Spine CT. sagittal reformat. bone-window reconstruction
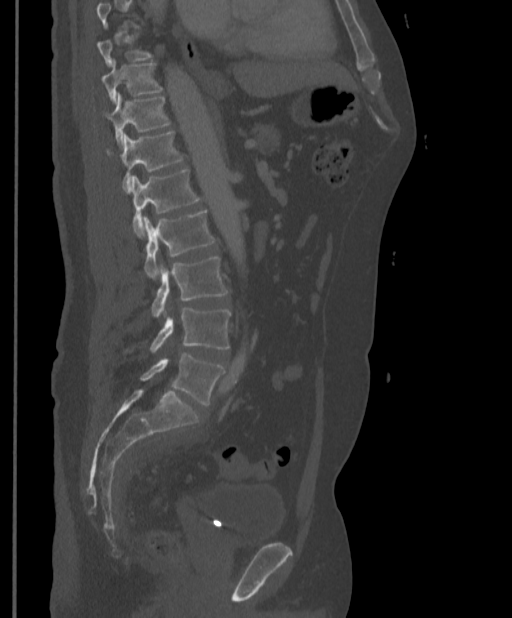
Boxes: x1 y1 x2 y2 (pixel coords, space-separated).
No box is given to a vertebra that the top edge of the scan cuts off.
T9: 98 34 154 66
T10: 102 59 163 103
T11: 104 93 170 146
T12: 107 130 183 192
L1: 130 169 201 236
L2: 143 210 216 278
L3: 151 257 228 316
L4: 149 308 231 351
L5: 140 353 225 405